Computed tomography of the spine. sagittal view
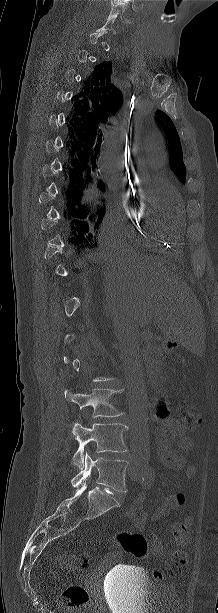

Box edges are left/top/right/bottom in pixels. A vertebra gets a box only on the slices from the first to the last where its cross-section is at least a third of its largest; on a slice outside that range it gets none. The labeled vertebrae in this slice are: L3 at left=64, top=388, right=124, bottom=417, L4 at left=71, top=422, right=128, bottom=467, L5 at left=71, top=452, right=127, bottom=491.